CT · image 408 mm wide · sagittal view · 512x689 px · scan covers 11 annotated vertebrae
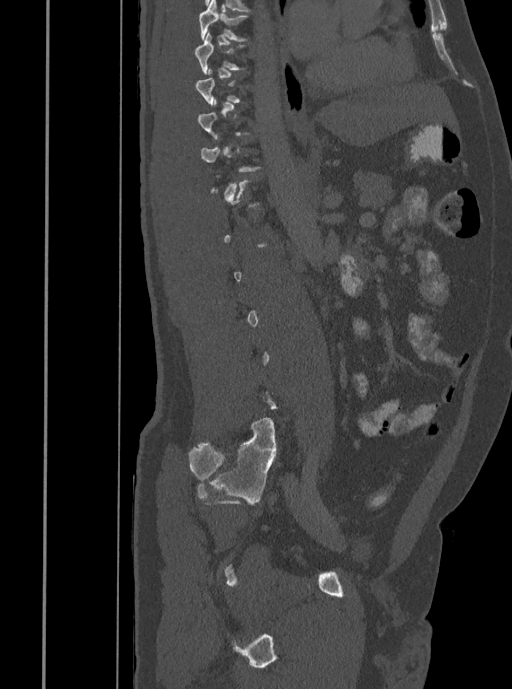
Coordinates as <box>x1,y1,x2,y2</box>.
Each vertebra is boxed only on the slices from the first to the last where its cross-section reaches a third of its largest, so a slice outside that range leaves it unboxed.
T7: <box>198,0,247,41</box>
T8: <box>194,33,246,74</box>